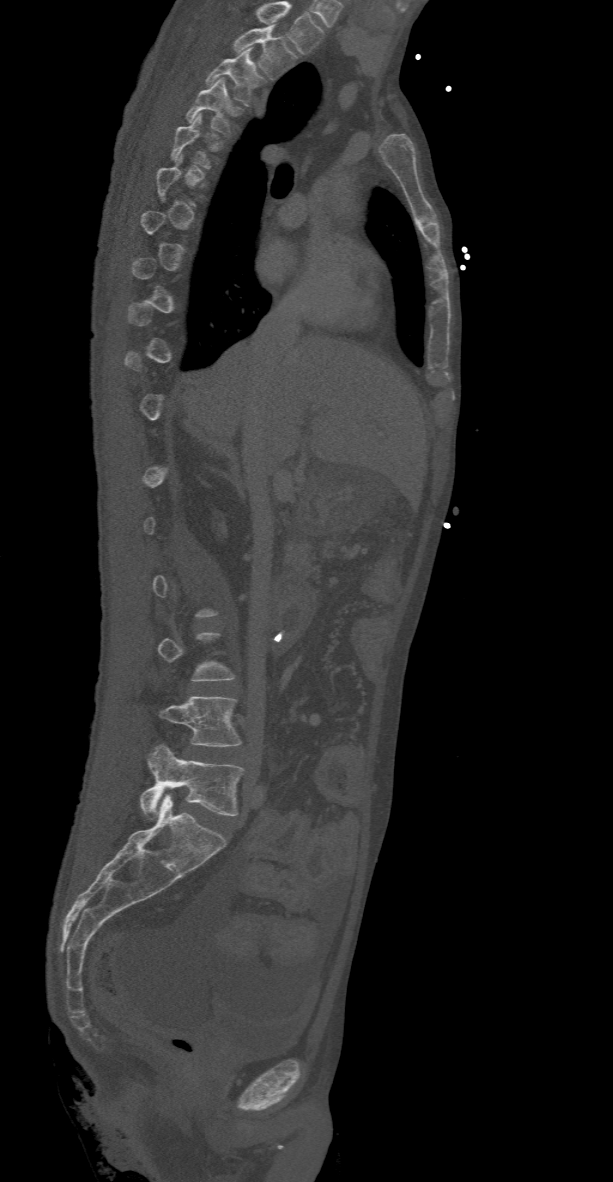 Computed tomography of the spine. sagittal view. W/L 1800/400 HU
Coordinates as <box>x1,y1,x2,y2</box>.
A vertebra is boxed only from the first to the last slice where its cross-section is at least a third of its largest; slices outside that range leave it without a box.
This scan's labels start at T2 at the top and end at L5 at the bottom.
T2: <box>234,24,297,78</box>
T3: <box>205,48,265,105</box>
T4: <box>186,79,242,136</box>
T5: <box>170,113,222,168</box>
L4: <box>159,696,242,746</box>
L5: <box>140,744,243,818</box>